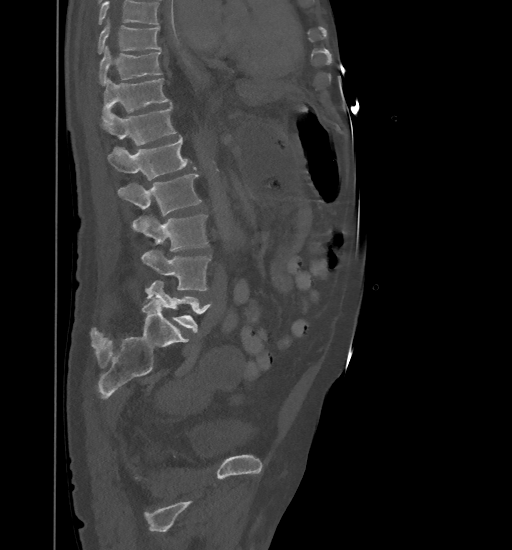
Spine CT · sagittal reformat · 512x550 px

Boxes below are [x1, y1, x2, y2] in pixels.
A vertebra cut off by the top edge of the scan is not labeled and has no box.
{"vertebrae":{"L5":[146,281,211,332],"L4":[141,250,211,290],"L3":[132,215,208,251],"L2":[117,173,201,216],"L1":[107,136,195,180],"T12":[101,105,175,145],"T11":[102,78,170,122],"T10":[99,46,161,85],"T9":[98,19,160,54]}}